CT spine — sagittal reformat — 300x346 px — image width 300 mm — scan covers 7 annotated vertebrae
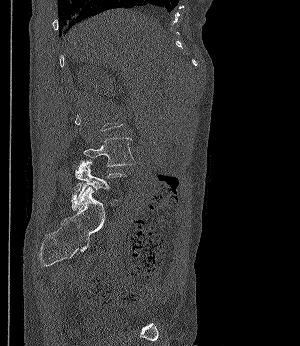

Boxes: x1:y1:x2:y2 in pixels.
A vertebra gets a box only on the slices from the first to the last where its cross-section is at least a third of its largest; on a slice outside that range it gets none.
Vertebra bounding boxes:
- L4: 83:137:135:166
- L5: 74:161:126:200